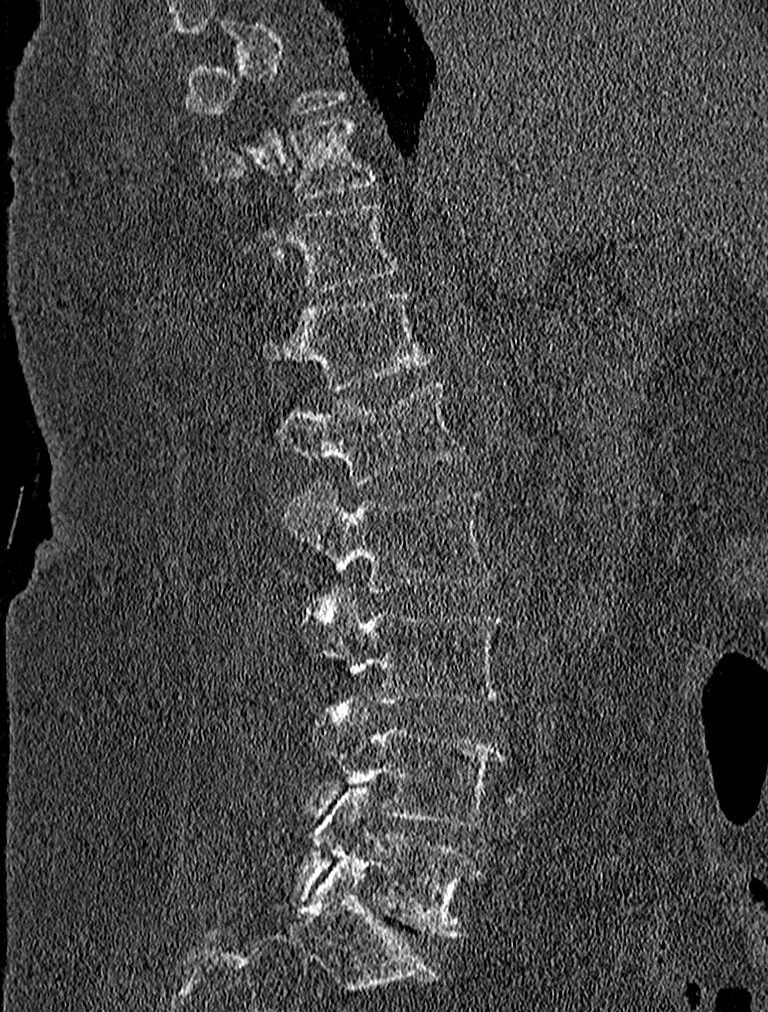
CT, spine · sagittal view · bone-window reconstruction · 768x1012 px
Each vertebra maps to its box as [x1, y1, x2, y2], the pixel coordinates of its top-left and bottom-right corners.
Not every vertebra on this slice has a box: a vertebra is boxed only from the first to the last slice where its cross-section is at least a third of its largest, and this slice is outside that range for at least one of them.
{"vertebrae":{"L5":[294,787,482,938],"L4":[311,696,505,826],"L3":[301,583,505,704],"L2":[283,481,495,593],"L1":[269,379,465,483],"T12":[260,288,438,389],"T11":[240,202,400,293],"T10":[201,116,380,198]}}